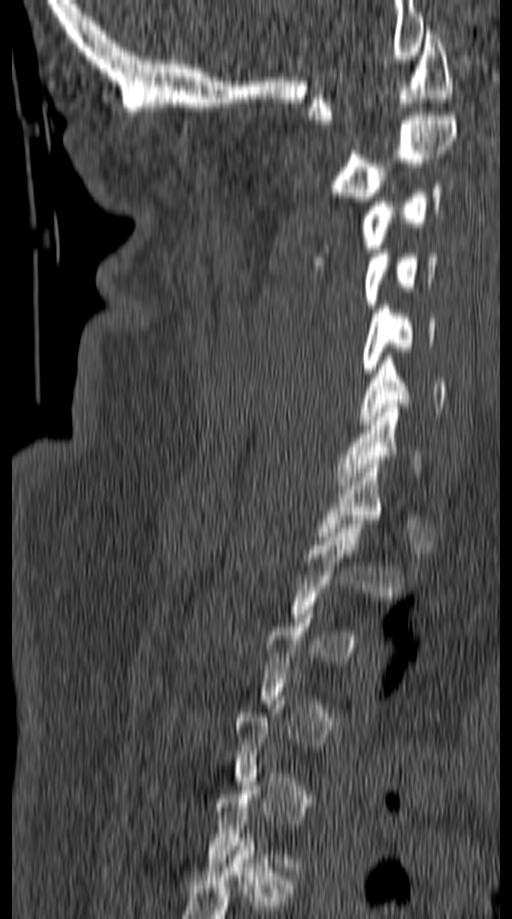

CT spine; sagittal reformat; bone window
Columns x1, y1, x2, y2 give each box's top-left and bottom-right pixels.
A vertebra is boxed only from the first to the last slice where its cross-section is at least a third of its largest; slices outside that range leave it without a box.
| vertebra | x1 | y1 | x2 | y2 |
|---|---|---|---|---|
| C1 | 307 | 26 | 453 | 124 |
| C2 | 327 | 116 | 457 | 201 |
| C3 | 314 | 180 | 443 | 270 |
| C4 | 365 | 249 | 440 | 308 |
| C5 | 362 | 305 | 436 | 373 |
| C6 | 359 | 357 | 445 | 424 |
| C7 | 334 | 404 | 423 | 489 |